Spine computed tomography · sagittal reformat · the image spans 486 mm across · 607x607 px
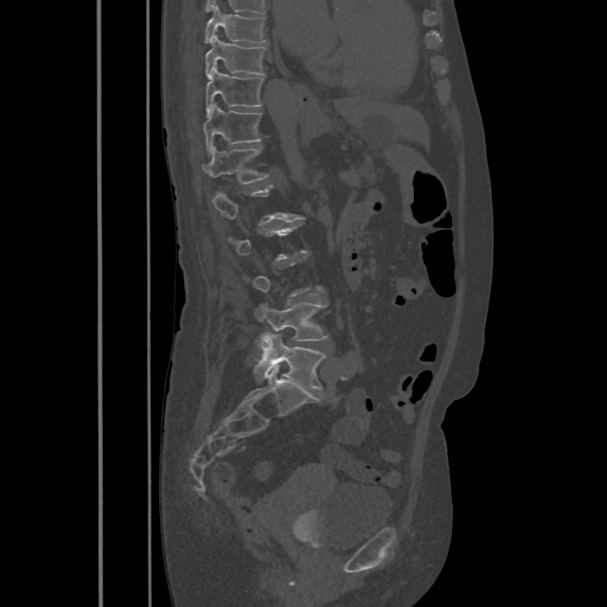

Boxes: x1:y1:x2:y2 in pixels.
A vertebra is boxed only from the first to the last slice where its cross-section is at least a third of its largest; slices outside that range leave it without a box.
T8: 204:6:266:42
T9: 205:35:266:77
T10: 205:67:264:114
T11: 203:103:261:154
T12: 203:146:268:184
L4: 255:303:328:350
L5: 254:332:325:390